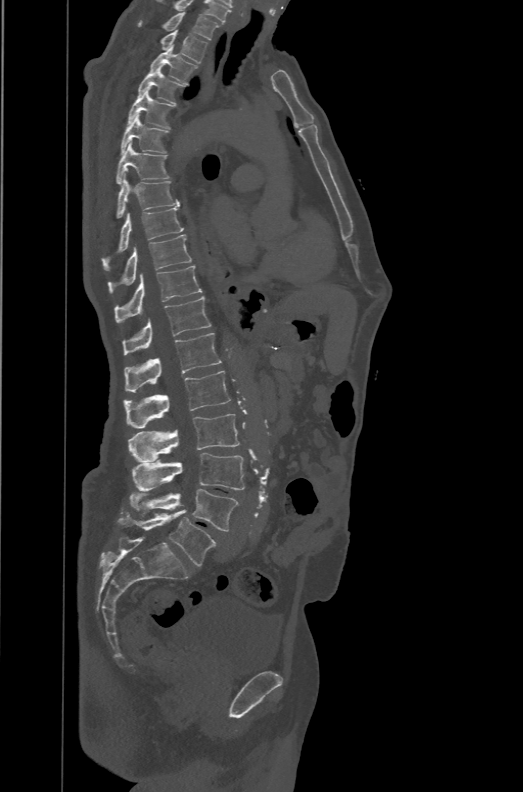 CT, spine — sagittal view — image 471 mm wide — bone window
Boxes below are [x1, y1, x2, y2] in pixels.
The highest labeled vertebra in this scan is T1; the lowest is L6.
In these labels the spine has an L6, a sixth lumbar vertebra below L5.
{"vertebrae":{"T1":[137,12,220,40],"T2":[159,30,208,62],"T3":[149,44,198,85],"T4":[137,67,184,104],"T5":[127,90,175,129],"T6":[120,115,169,154],"T7":[116,142,171,184],"T8":[116,174,180,219],"T9":[101,208,183,270],"T10":[107,234,191,293],"T11":[114,265,202,323],"T12":[123,296,212,355],"L1":[125,333,221,392],"L2":[124,371,230,428],"L3":[128,414,239,462],"L4":[131,452,244,490],"L5":[129,489,239,531],"L6":[118,511,216,565]}}